CT; sagittal view; 218x613 px
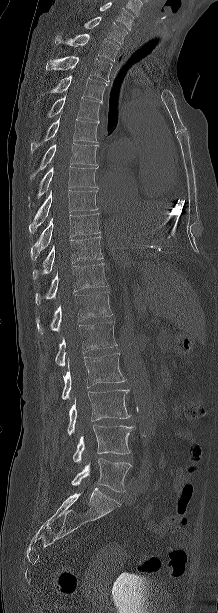
Each box given as x1,y1,x2,y2.
This scan's labels start at C7 at the top and end at L5 at the bottom.
| vertebra | x1 | y1 | x2 | y2 |
|---|---|---|---|---|
| C7 | 66 | 17 | 127 | 43 |
| T1 | 55 | 34 | 118 | 61 |
| T2 | 46 | 56 | 112 | 81 |
| T3 | 39 | 75 | 107 | 99 |
| T4 | 47 | 95 | 102 | 121 |
| T5 | 30 | 115 | 99 | 154 |
| T6 | 30 | 143 | 98 | 179 |
| T7 | 28 | 166 | 99 | 207 |
| T8 | 29 | 190 | 97 | 233 |
| T9 | 31 | 213 | 100 | 260 |
| T10 | 33 | 236 | 102 | 279 |
| T11 | 35 | 263 | 106 | 304 |
| T12 | 36 | 291 | 112 | 334 |
| L1 | 55 | 321 | 116 | 366 |
| L2 | 62 | 353 | 125 | 399 |
| L3 | 67 | 389 | 130 | 435 |
| L4 | 73 | 424 | 134 | 462 |
| L5 | 71 | 458 | 131 | 492 |